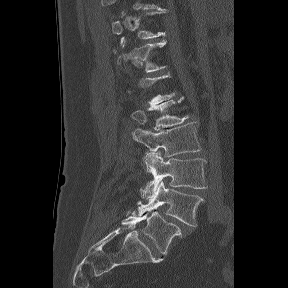

CT, spine — image width 288 mm — sagittal view — bone-window reconstruction

Box edges are left/top/right/bottom in pixels.
A vertebra is boxed only from the first to the last slice where its cross-section is at least a third of its largest; slices outside that range leave it without a box.
The labels name a sixth lumbar vertebra for this spine: L6, after L5.
Vertebra bounding boxes:
- T12: left=112, top=36, right=167, bottom=72
- L2: left=131, top=96, right=189, bottom=130
- L3: left=132, top=122, right=201, bottom=171
- L4: left=140, top=152, right=207, bottom=198
- L5: left=137, top=179, right=204, bottom=226
- L6: left=121, top=211, right=181, bottom=254